Spine computed tomography; sagittal view; Bone window (WL 400, WW 1800)
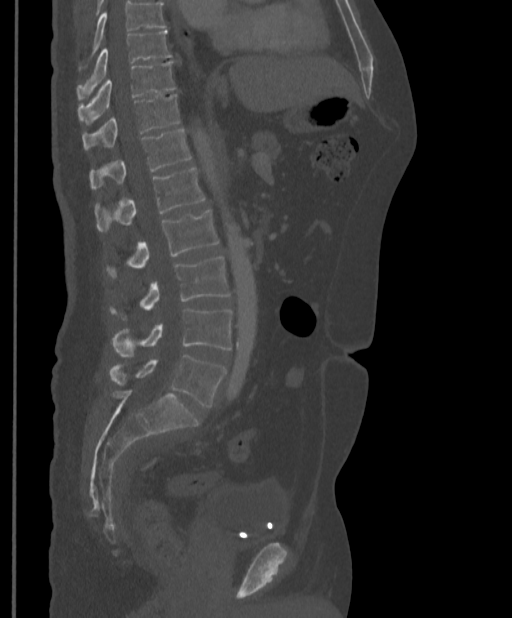 Coordinates as <box>x1,y1,x2,y2</box>. No box is given to a vertebra that the top edge of the scan cuts off. Vertebrae labeled: L5 at <box>108,355,226,407</box>, L4 at <box>112,308,232,356</box>, L3 at <box>109,257,231,320</box>, L2 at <box>106,209,219,278</box>, L1 at <box>94,168,205,231</box>, T12 at <box>90,129,191,189</box>, T11 at <box>82,94,179,150</box>, T10 at <box>77,61,176,124</box>, T9 at <box>77,31,172,97</box>.